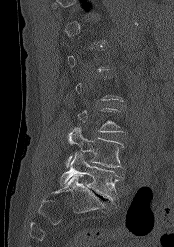
CT, spine — sagittal view — 174x247 px
In the table, x1 and y1 are a box's top-left corner and x2 and y2 its bottom-right corner, in pixels.
Each vertebra is boxed only on the slices from the first to the last where its cross-section reaches a third of its largest, so a slice outside that range leaves it unboxed.
| vertebra | x1 | y1 | x2 | y2 |
|---|---|---|---|---|
| L5 | 59 | 152 | 122 | 200 |
| L4 | 65 | 127 | 123 | 167 |